CT · sagittal reformat · 512x609 px
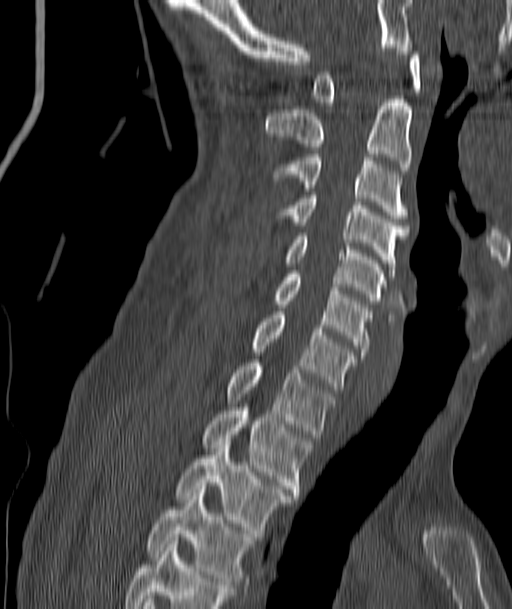

Boxes: x1 y1 x2 y2 (pixel coords, space-separated).
Vertebra bounding boxes:
- C1: 313 48 419 105
- C2: 266 99 411 170
- C3: 272 151 408 218
- C4: 272 192 408 273
- C5: 283 233 386 304
- C6: 272 274 372 355
- C7: 250 311 356 389
- T1: 225 359 334 437
- T2: 201 411 312 495
- T3: 176 445 293 536
- T4: 146 493 254 588